CT spine; sagittal plane, index 367; 512x929 px
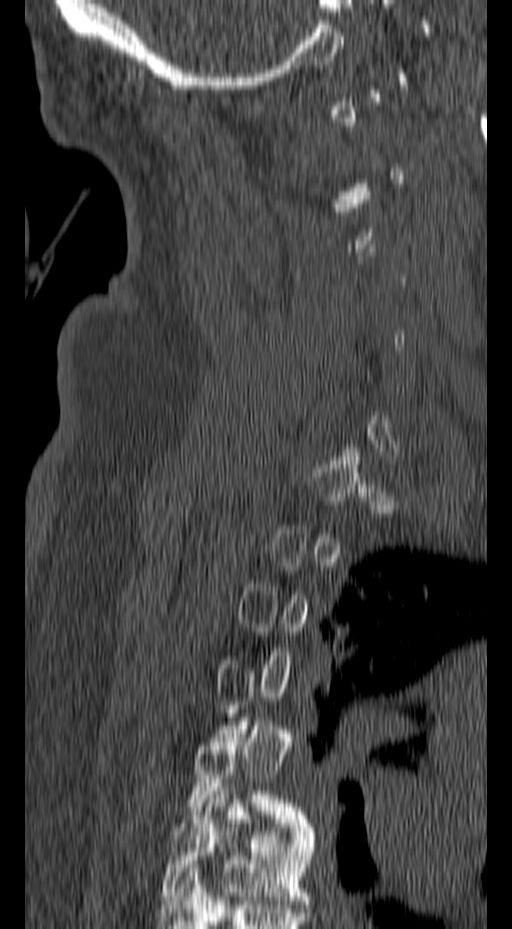
Boxes: x1:y1:x2:y2 in pixels.
Not every vertebra on this slice has a box: a vertebra is boxed only from the first to the last slice where its cross-section is at least a third of its largest, and this slice is outside that range for at least one of them.
Vertebra bounding boxes:
- T5: 187:717:309:827
- T6: 161:787:316:904